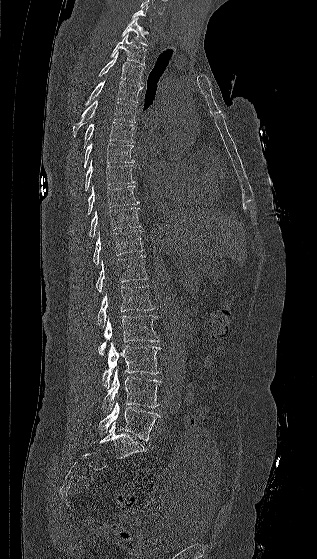

Computed tomography of the spine; sagittal view; image width 317 mm

Each vertebra maps to its box as [x1, y1, x2, y2], the pixel coordinates of its top-left and bottom-right corners.
A vertebra is boxed only from the first to the last slice where its cross-section is at least a third of its largest; slices outside that range leave it without a box.
{"vertebrae":{"T1":[121,18,148,45],"T2":[110,34,146,65],"T3":[98,53,143,85],"T4":[85,80,142,105],"T5":[73,100,136,137],"T6":[81,122,134,150],"T7":[83,142,134,169],"T8":[85,160,135,191],"T9":[87,185,139,215],"T10":[89,208,140,237],"T11":[92,231,143,264],"T12":[95,255,148,292],"L1":[97,285,155,328],"L2":[98,315,159,355],"L3":[102,342,161,388],"L4":[102,368,161,413],"L5":[98,401,160,441]}}